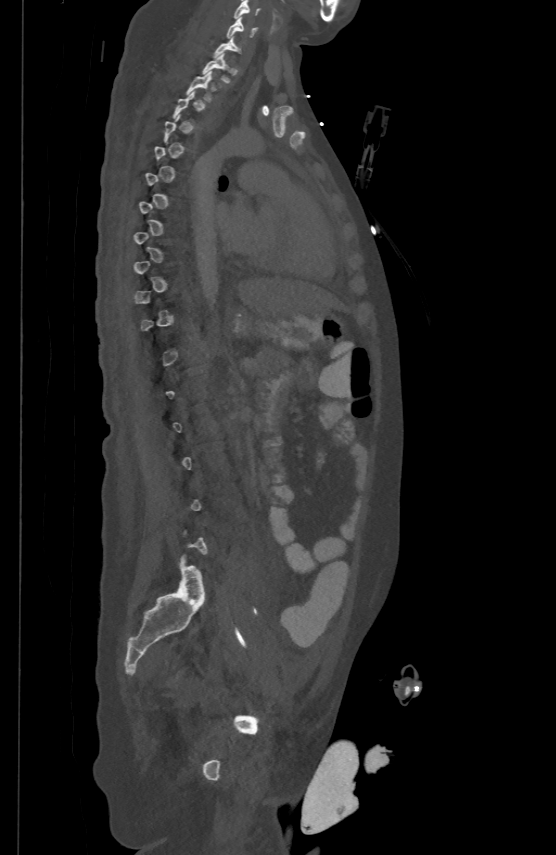

Spine computed tomography · sagittal reformat · W/L 1800/400 HU · 556x855 px. Bounding boxes as [x1, y1, x2, y2] in pixel coordinates. A vertebra gets a box only on the slices from the first to the last where its cross-section is at least a third of its largest; on a slice outside that range it gets none. 3 vertebrae labeled — C5 at [234, 0, 259, 18]; C6 at [227, 16, 257, 36]; T1 at [202, 51, 229, 82].